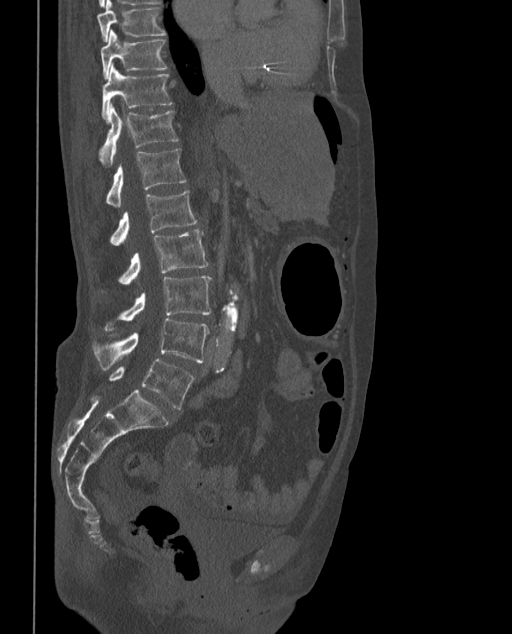 CT spine. sagittal view. the image spans 373 mm across
In the table, x1 and y1 are a box's top-left corner and x2 and y2 its bottom-right corner, in pixels.
These labels give the spine a sixth lumbar vertebra, L6, below L5.
| vertebra | x1 | y1 | x2 | y2 |
|---|---|---|---|---|
| T9 | 97 | 0 | 166 | 41 |
| T10 | 101 | 30 | 168 | 78 |
| T11 | 101 | 64 | 173 | 120 |
| T12 | 99 | 106 | 179 | 166 |
| L1 | 106 | 148 | 185 | 207 |
| L2 | 108 | 190 | 196 | 246 |
| L3 | 100 | 229 | 209 | 293 |
| L4 | 103 | 275 | 212 | 331 |
| L5 | 92 | 319 | 209 | 371 |
| L6 | 108 | 359 | 194 | 409 |